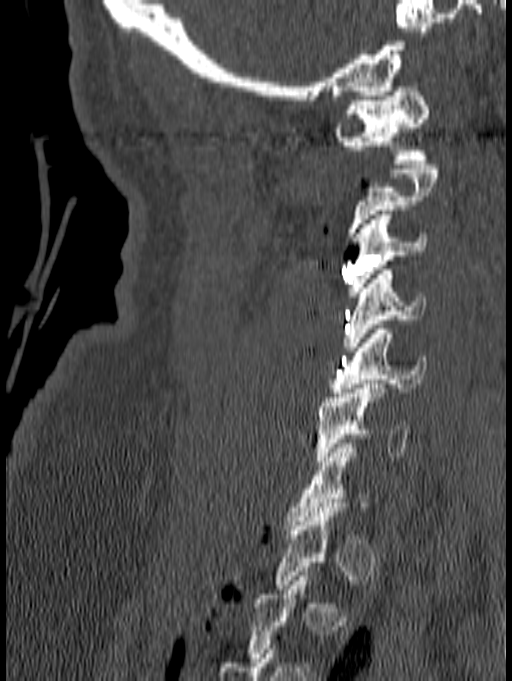

CT, spine · sagittal view · bone window
Box edges are left/top/right/bottom in pixels. A vertebra is boxed only from the first to the last slice where its cross-section is at least a third of its largest; slices outside that range leave it without a box. Vertebrae labeled: C1 at left=334, top=82, right=429, bottom=164, C3 at left=348, top=210, right=428, bottom=296, C4 at left=342, top=270, right=426, bottom=351, C5 at left=330, top=325, right=427, bottom=397, C6 at left=316, top=384, right=410, bottom=465.